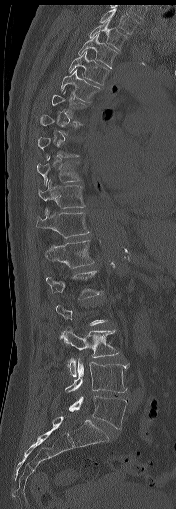 Spine computed tomography · sagittal reformat · Bone window (WL 400, WW 1800) · 176x509 px

Boxes are (x1, y1, x2, y2) in pixels.
A vertebra is boxed only from the first to the last slice where its cross-section is at least a third of its largest; slices outside that range leave it without a box.
Vertebra bounding boxes:
- T1: (98, 8, 139, 34)
- T2: (89, 20, 128, 51)
- T3: (78, 33, 116, 68)
- T4: (68, 49, 108, 85)
- T5: (61, 69, 99, 103)
- T6: (52, 92, 85, 118)
- T9: (36, 158, 83, 186)
- T10: (38, 179, 84, 213)
- T11: (36, 212, 89, 237)
- T12: (45, 240, 94, 268)
- L1: (46, 270, 101, 299)
- L3: (60, 326, 118, 376)
- L4: (65, 358, 130, 392)
- L5: (69, 395, 126, 429)